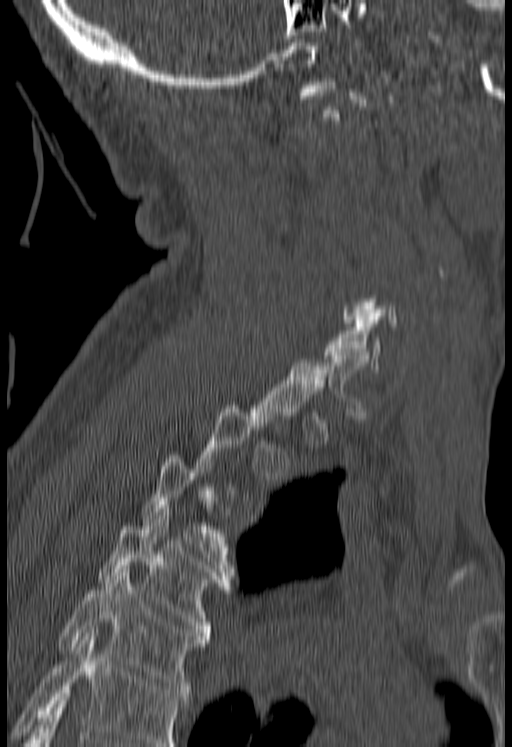

Spine CT — 180 mm image width — sagittal view. Bounding boxes as [x1, y1, x2, y2] in pixel coordinates.
Not every vertebra on this slice has a box: a vertebra is boxed only from the first to the last slice where its cross-section is at least a third of its largest, and this slice is outside that range for at least one of them.
No box is given to a vertebra that the bottom edge of the scan cuts off.
Vertebra bounding boxes:
- T5: [58, 569, 208, 696]
- T4: [98, 512, 230, 639]
- C6: [323, 316, 383, 372]